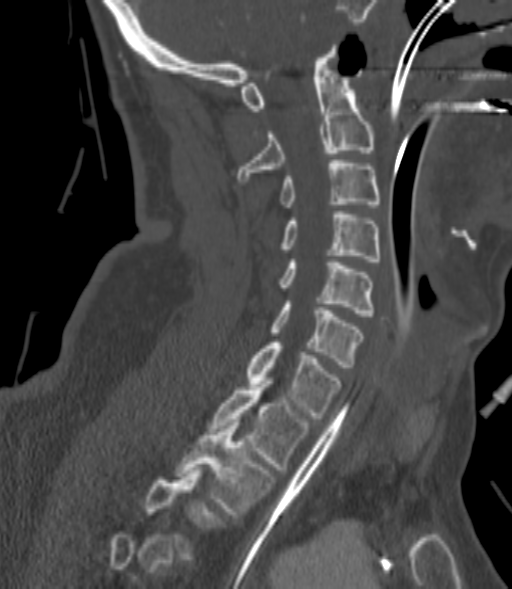

CT, spine — sagittal view
A vertebra is boxed only from the first to the last slice where its cross-section is at least a third of its largest; slices outside that range leave it without a box.
<vertebrae><v name="C2" x1="236" y1="48" x2="374" y2="181"/><v name="C3" x1="280" y1="160" x2="379" y2="207"/><v name="C4" x1="280" y1="211" x2="379" y2="261"/><v name="C5" x1="277" y1="262" x2="374" y2="316"/><v name="C6" x1="270" y1="301" x2="363" y2="367"/><v name="C7" x1="247" y1="339" x2="340" y2="418"/><v name="T1" x1="208" y1="381" x2="310" y2="469"/><v name="T2" x1="175" y1="422" x2="274" y2="517"/></vertebrae>